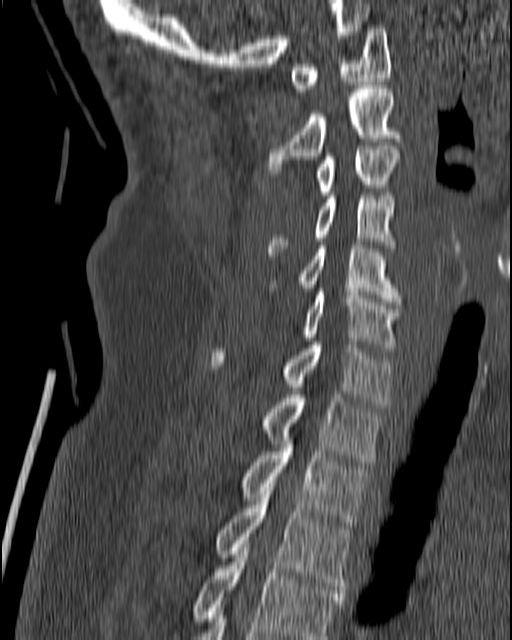
CT; sagittal view; bone-window reconstruction
Boxes are (x1, y1, x2, y2) in pixels. The labeled vertebrae in this slice are: C1 at (291, 25, 390, 91), C2 at (264, 85, 401, 173), C3 at (317, 146, 399, 195), C4 at (267, 192, 394, 255), C5 at (269, 245, 401, 301), C6 at (302, 288, 401, 351), C7 at (211, 341, 392, 408), T1 at (263, 391, 381, 461), T2 at (240, 444, 367, 529), T3 at (214, 487, 353, 596), T4 at (191, 544, 344, 639).